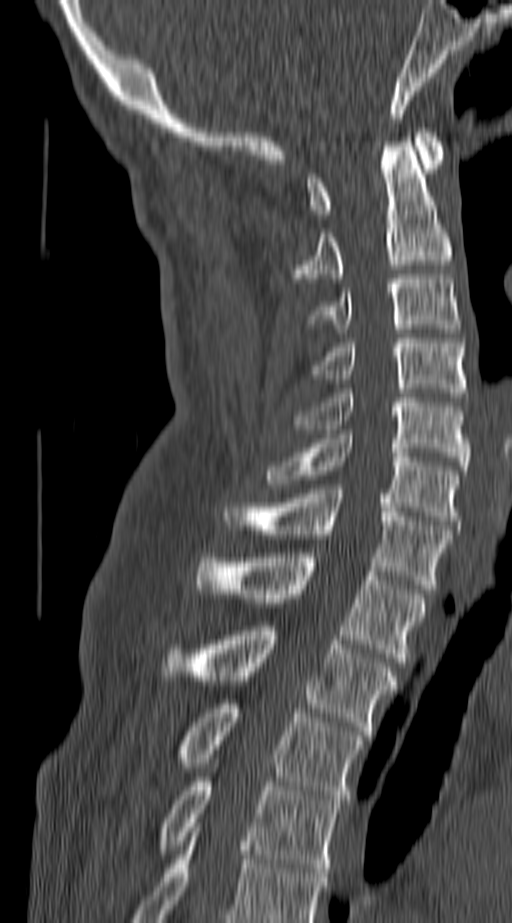

Spine CT. sagittal view. 140 mm wide. 512x923 px. Box edges are left/top/right/bottom in pixels.
Labels in this scan begin with C1 at the top and end with T4 at the bottom.
| vertebra | x1 | y1 | x2 | y2 |
|---|---|---|---|---|
| C1 | 305 | 128 | 443 | 218 |
| C2 | 290 | 142 | 450 | 282 |
| C3 | 312 | 274 | 461 | 328 |
| C4 | 309 | 338 | 465 | 397 |
| C5 | 294 | 389 | 468 | 470 |
| C6 | 266 | 434 | 457 | 525 |
| C7 | 224 | 489 | 450 | 589 |
| T1 | 195 | 553 | 425 | 666 |
| T2 | 192 | 626 | 395 | 735 |
| T3 | 181 | 699 | 362 | 804 |
| T4 | 162 | 777 | 340 | 872 |